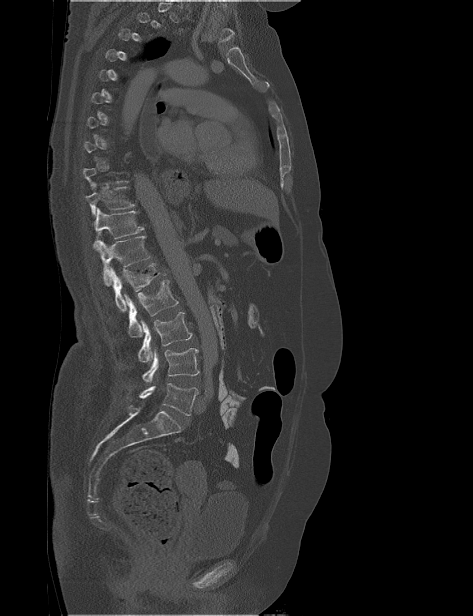
CT spine. sagittal view. W/L 1800/400 HU. 473x616 px

Boxes: x1 y1 x2 y2 (pixel coords, space-separated).
A vertebra gets a box only on the slices from the first to the last where its cross-section is at least a third of its largest; on a slice outside that range it gets none.
Vertebra bounding boxes:
- T10: 85 182 135 216
- T11: 93 207 144 248
- T12: 97 236 151 286
- L1: 109 263 166 312
- L2: 124 280 178 337
- L3: 137 312 192 362
- L4: 142 348 199 382
- L5: 128 383 198 415